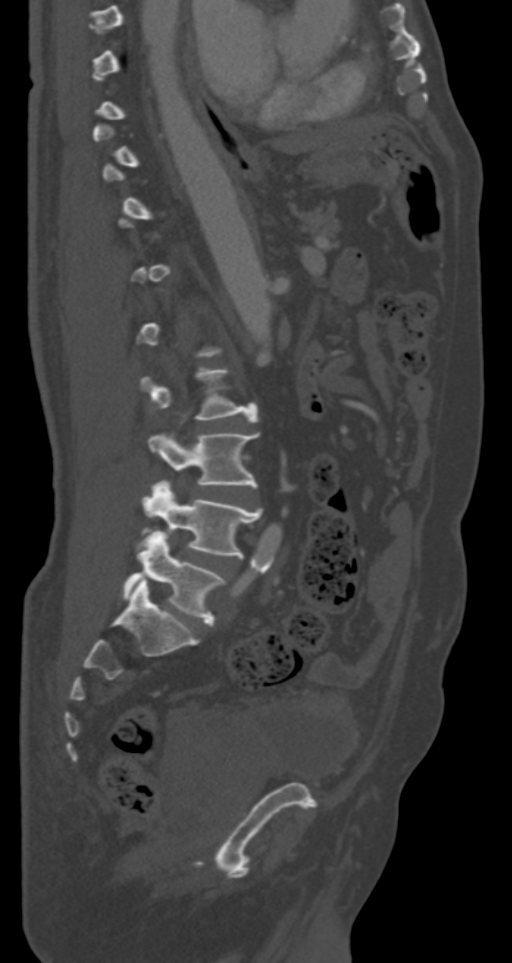

CT spine. sagittal view

A vertebra is boxed only from the first to the last slice where its cross-section is at least a third of its largest; slices outside that range leave it without a box.
<vertebrae><v name="L2" x1="141" y1="368" x2="257" y2="421"/><v name="L3" x1="148" y1="433" x2="259" y2="487"/><v name="L4" x1="144" y1="481" x2="263" y2="557"/><v name="L5" x1="123" y1="531" x2="225" y2="625"/></vertebrae>